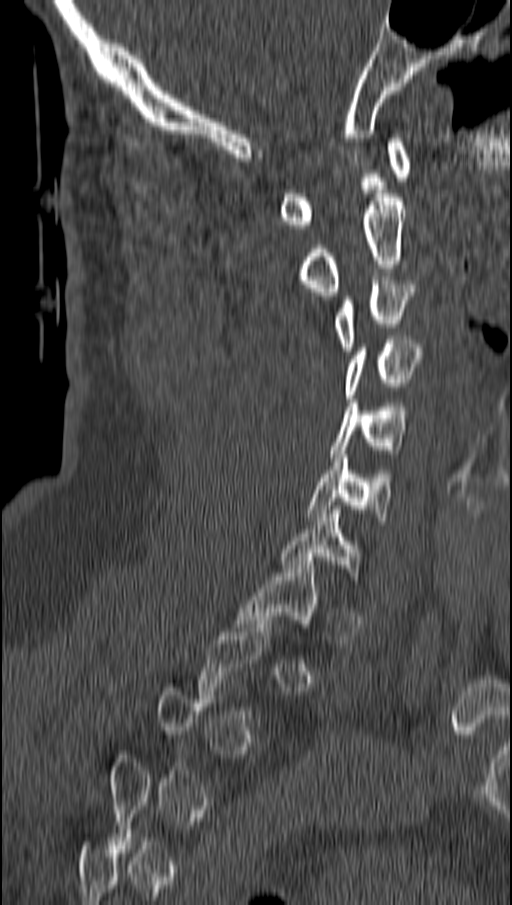

CT, spine · sagittal view · bone window · 512x905 px
A vertebra is boxed only from the first to the last slice where its cross-section is at least a third of its largest; slices outside that range leave it without a box.
<vertebrae><v name="T1" x1="235" y1="561" x2="319" y2="631"/><v name="C7" x1="279" y1="510" x2="364" y2="580"/><v name="C6" x1="308" y1="454" x2="392" y2="524"/><v name="C5" x1="330" y1="403" x2="408" y2="457"/><v name="C4" x1="346" y1="336" x2="424" y2="398"/><v name="C3" x1="333" y1="280" x2="417" y2="351"/><v name="C2" x1="295" y1="194" x2="405" y2="295"/><v name="C1" x1="279" y1="138" x2="411" y2="228"/></vertebrae>